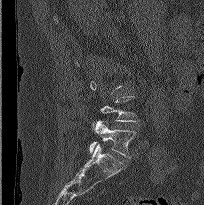 CT; sagittal view; 204x205 px
A vertebra is boxed only from the first to the last slice where its cross-section is at least a third of its largest; slices outside that range leave it without a box.
<vertebrae><v name="L5" x1="89" y1="121" x2="137" y2="158"/><v name="L4" x1="93" y1="96" x2="139" y2="128"/></vertebrae>